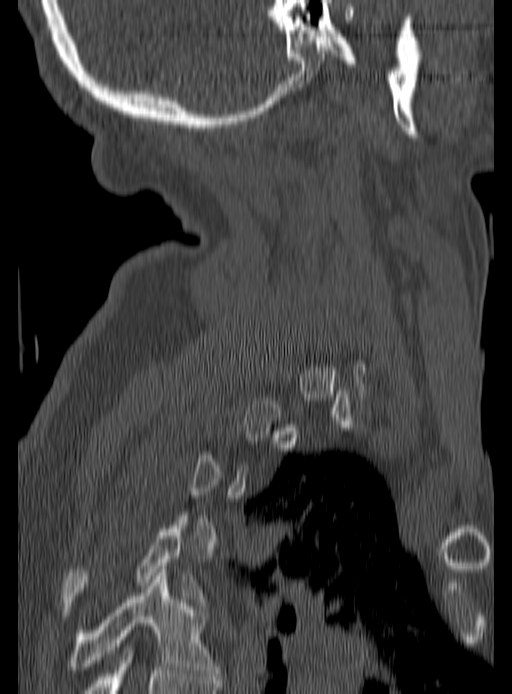
Computed tomography of the spine; sagittal view
A vertebra gets a box only on the slices from the first to the last where its cross-section is at least a third of its largest; on a slice outside that range it gets none.
<vertebrae><v name="T5" x1="66" y1="569" x2="218" y2="676"/><v name="T4" x1="63" y1="522" x2="199" y2="605"/></vertebrae>